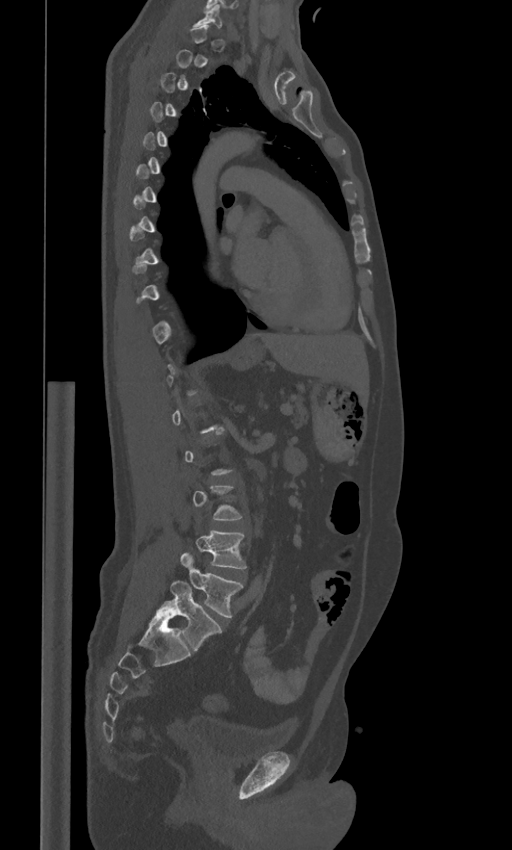
CT · sagittal view · bone-window reconstruction · 512x850 px · image 443 mm wide
Box values are [left, top, right, bottom] in pixels.
A vertebra gets a box only on the slices from the first to the last where its cross-section is at least a third of its largest; on a slice outside that range it gets none.
These labels give the spine a sixth lumbar vertebra, L6, below L5.
{"vertebrae":{"L4":[195,530,245,568],"L5":[181,552,242,617],"L6":[156,580,221,650]}}